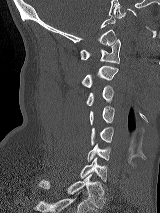 CT, spine — sagittal view — W/L 1800/400 HU
Boxes below are [x1, y1, x2, y2] in pixels.
{"vertebrae":{"C1":[80,39,120,63],"C2":[81,66,118,88],"C3":[86,85,114,105],"C4":[89,106,114,125],"C5":[91,127,113,145],"C6":[87,144,110,161],"C7":[80,158,107,182],"T1":[38,174,105,208]}}